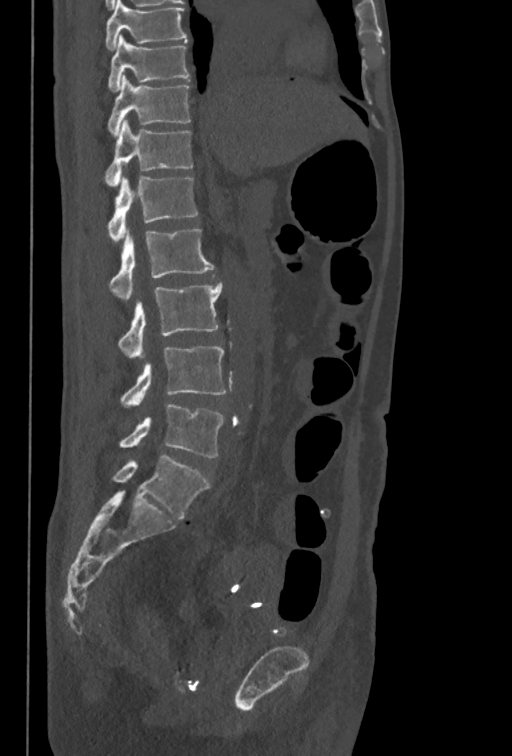
Spine CT — sagittal view — bone-window reconstruction — 512x756 px

Boxes: x1 y1 x2 y2 (pixel coords, space-separated).
In this scan, the topmost labeled vertebra is T10 and the lowest is L5.
L5: 118 404 223 457
L4: 120 346 226 407
L3: 117 282 222 357
L2: 108 229 213 299
L1: 107 176 198 241
T12: 104 120 193 186
T11: 108 75 190 136
T10: 108 34 189 91